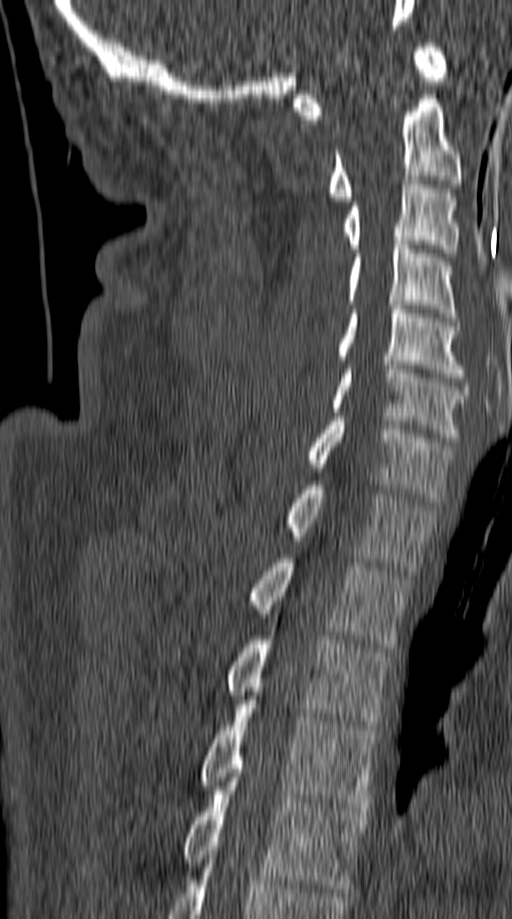 Spine CT — sagittal reformat — bone-window reconstruction

Each box given as x1,y1,x2,y2.
Vertebra bounding boxes:
- C1: x1=294, y1=43, x2=448, y2=119
- C2: x1=328, y1=94, x2=462, y2=201
- C3: x1=345, y1=180, x2=457, y2=257
- C4: x1=348, y1=241, x2=457, y2=321
- C5: x1=338, y1=305, x2=464, y2=377
- C6: x1=330, y1=361, x2=468, y2=441
- C7: x1=307, y1=417, x2=454, y2=502
- T1: x1=286, y1=481, x2=433, y2=570
- T2: x1=252, y1=558, x2=409, y2=648
- T3: x1=228, y1=636, x2=389, y2=729
- T4: x1=201, y1=700, x2=378, y2=811
- T5: x1=183, y1=777, x2=366, y2=892